Computed tomography of the spine · sagittal view · a region of this slice is masked with a uniform fill
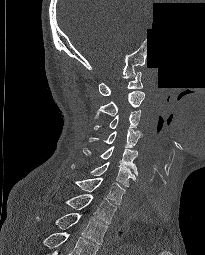
Boxes are (x1, y1, x2, y2) in pixels.
In this scan, the topmost labeled vertebra is C1 and the lowest is T2.
Vertebra bounding boxes:
- C1: (99, 72, 142, 95)
- C2: (94, 91, 144, 118)
- C3: (94, 109, 141, 129)
- C4: (89, 128, 140, 147)
- C5: (83, 146, 138, 175)
- C6: (71, 162, 137, 186)
- C7: (74, 177, 125, 205)
- T1: (65, 194, 116, 224)
- T2: (35, 213, 107, 244)